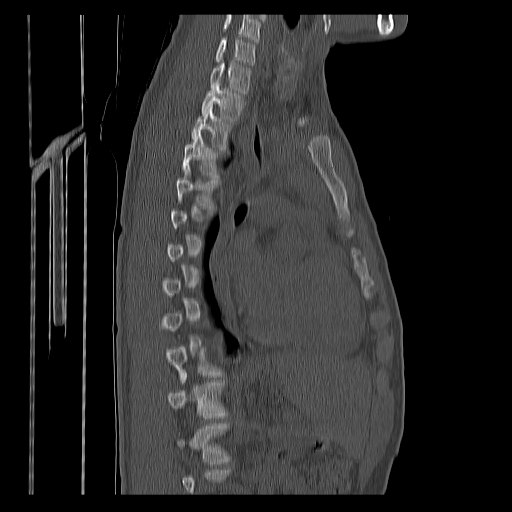 Spine computed tomography. sagittal view. Bone window (WL 400, WW 1800)
Not every vertebra on this slice has a box: a vertebra is boxed only from the first to the last slice where its cross-section is at least a third of its largest, and this slice is outside that range for at least one of them.
No box is given to a vertebra that the bottom edge of the scan cuts off.
In this scan, the topmost labeled vertebra is C7 and the lowest is T12.
<vertebrae><v name="C7" x1="215" y1="37" x2="255" y2="64"/><v name="T1" x1="210" y1="60" x2="250" y2="93"/><v name="T2" x1="201" y1="83" x2="244" y2="121"/><v name="T3" x1="191" y1="106" x2="231" y2="150"/><v name="T4" x1="182" y1="133" x2="218" y2="178"/><v name="T5" x1="177" y1="167" x2="221" y2="208"/><v name="T10" x1="167" y1="346" x2="221" y2="383"/><v name="T11" x1="168" y1="374" x2="226" y2="418"/><v name="T12" x1="178" y1="423" x2="230" y2="464"/></vertebrae>